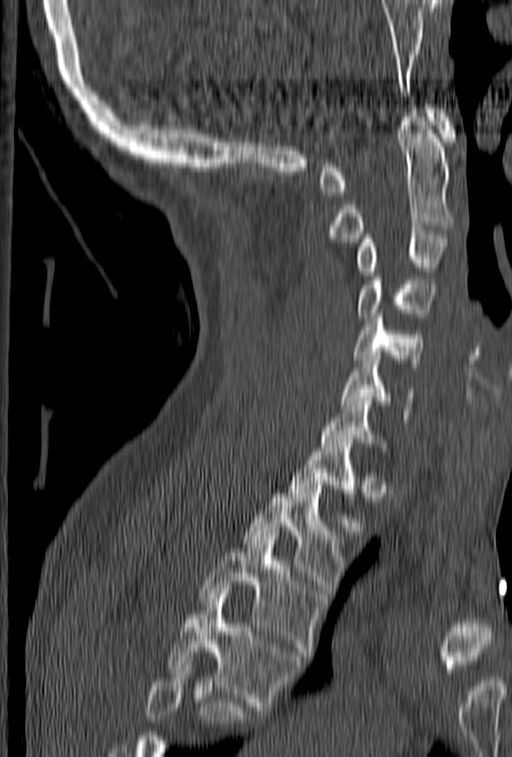
CT, spine; sagittal reformat; the image spans 153 mm across; 512x757 px

Each box given as x1,y1,x2,y2. A vertebra cut off by the bottom edge of the scan is not labeled and has no box. The labeled vertebrae in this slice are: C1 at x1=319, y1=105, x2=455, y2=196, C2 at x1=329, y1=109, x2=455, y2=242, C3 at x1=356, y1=230, x2=449, y2=279, C4 at x1=356, y1=264, x2=435, y2=321, C5 at x1=353, y1=310, x2=422, y2=367, C6 at x1=343, y1=356, x2=414, y2=421, C7 at x1=320, y1=389, x2=385, y2=451, T1 at x1=287, y1=443, x2=363, y2=530, T2 at x1=243, y1=485, x2=346, y2=593, T3 at x1=199, y1=531, x2=321, y2=660, T4 at x1=166, y1=590, x2=302, y2=710.